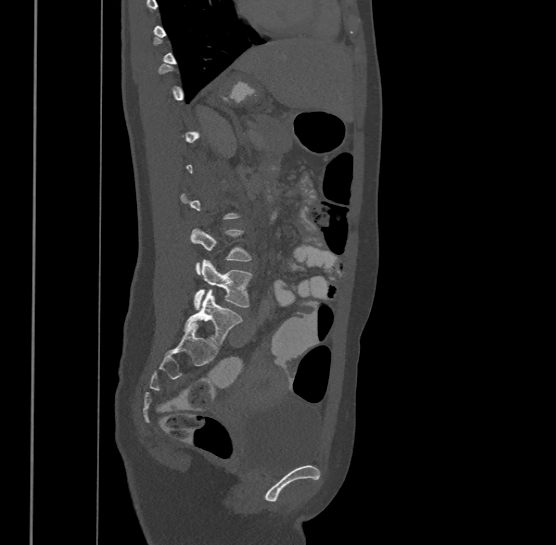 CT spine; sagittal view; 556x545 px

Boxes: x1:y1:x2:y2 in pixels.
A vertebra is boxed only from the first to the last slice where its cross-section is at least a third of its largest; slices outside that range leave it without a box.
Labels in this scan begin with T9 at the top and end with L4 at the bottom.
L4: 193:258:252:310
L3: 190:227:251:274